CT · sagittal view · scan covers 10 annotated vertebrae
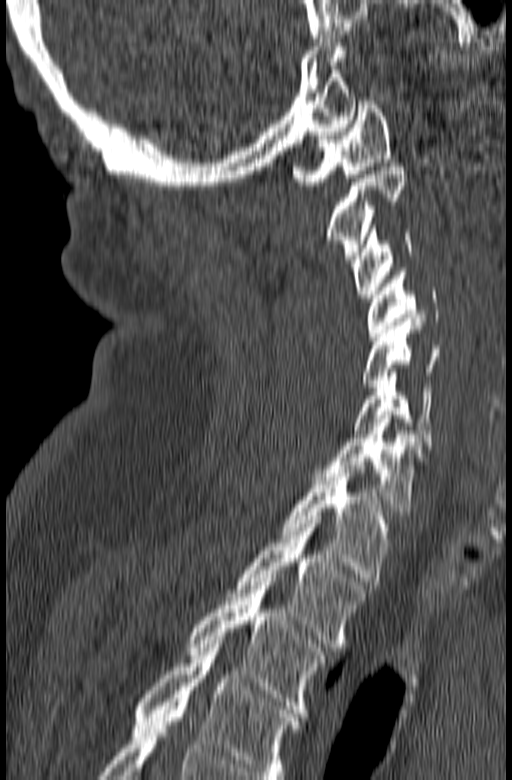

Boxes are given in columns x1, y1, x2, y2, the pixel coordinates of their top-left and bottom-right corners.
Labels in this scan begin with C1 at the top and end with T3 at the bottom.
| vertebra | x1 | y1 | x2 | y2 |
|---|---|---|---|---|
| T3 | 187 | 578 | 326 | 713 |
| T2 | 228 | 520 | 368 | 647 |
| T1 | 281 | 465 | 390 | 581 |
| C7 | 314 | 415 | 423 | 511 |
| C6 | 353 | 372 | 432 | 449 |
| C5 | 363 | 318 | 441 | 391 |
| C4 | 367 | 272 | 438 | 336 |
| C3 | 352 | 225 | 413 | 298 |
| C2 | 327 | 163 | 407 | 259 |
| C1 | 292 | 101 | 391 | 185 |